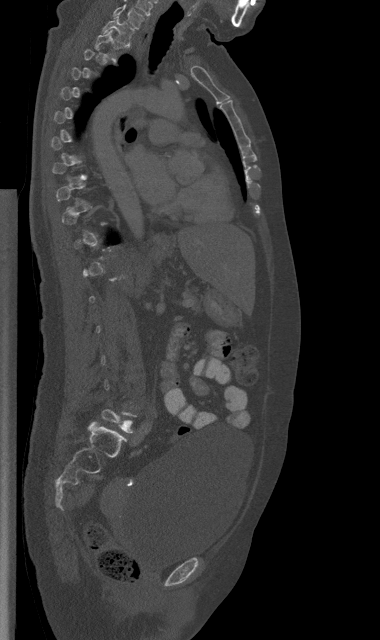
Computed tomography of the spine — sagittal reformat — Bone window (WL 400, WW 1800)
Columns x1, y1, x2, y2 give each box's top-left and bottom-right pixels.
Not every vertebra on this slice has a box: a vertebra is boxed only from the first to the last slice where its cross-section is at least a third of its largest, and this slice is outside that range for at least one of them.
| vertebra | x1 | y1 | x2 | y2 |
|---|---|---|---|---|
| C7 | 113 | 4 | 144 | 28 |
| T1 | 103 | 16 | 133 | 45 |
| T2 | 95 | 30 | 117 | 63 |
| L5 | 101 | 409 | 136 | 432 |